Spine computed tomography. Sagittal slice 246/512. W/L 1800/400 HU. scan covers 8 annotated vertebrae
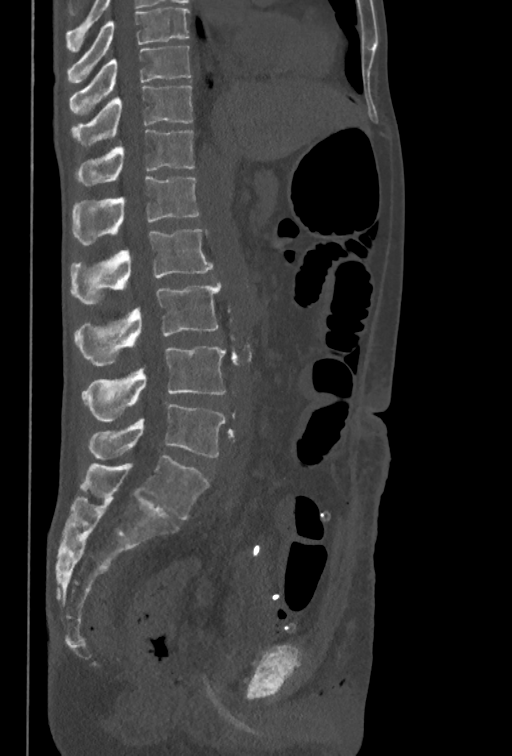 Box edges are left/top/right/bottom in pixels.
The highest labeled vertebra in this scan is T10; the lowest is L5.
Vertebra bounding boxes:
- T10: left=70, top=46, right=190, bottom=114
- T11: left=71, top=86, right=192, bottom=146
- T12: left=76, top=129, right=193, bottom=186
- L1: left=72, top=176, right=199, bottom=244
- L2: left=70, top=229, right=212, bottom=304
- L3: left=74, top=283, right=221, bottom=365
- L4: left=82, top=346, right=226, bottom=422
- L5: left=89, top=404, right=226, bottom=460